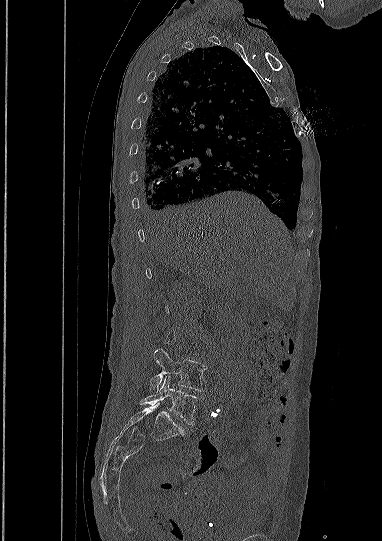 Computed tomography of the spine · sagittal view
Coordinates as <box>x1,y1,x2,y2</box>.
A vertebra gets a box only on the slices from the first to the last where its cross-section is at least a third of its largest; on a slice outside that range it gets none.
Vertebra bounding boxes:
- L4: <box>150,349,206,391</box>
- L5: <box>140,376,197,425</box>